CT. sagittal reformat. bone window
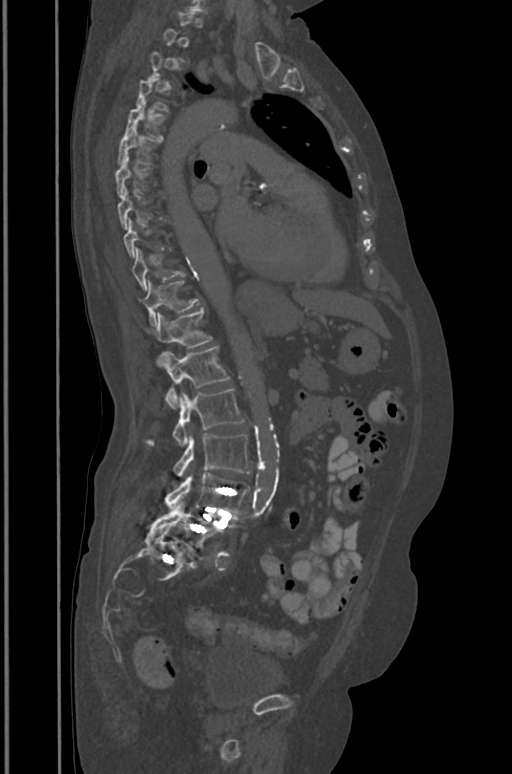

Boxes below are [x1, y1, x2, y2] in pixels.
A vertebra is boxed only from the first to the last slice where its cross-section is at least a third of its largest; slices outside that range leave it without a box.
{"vertebrae":{"T5":[126,101,164,139],"T6":[118,127,153,164],"T7":[115,155,148,195],"T10":[131,248,184,288],"T11":[143,281,198,325],"T12":[147,308,211,365],"L1":[162,347,230,407],"L2":[147,389,243,447],"L3":[173,432,249,477],"L4":[165,473,250,514],"L5":[154,501,224,550]}}